CT spine; sagittal view; bone window
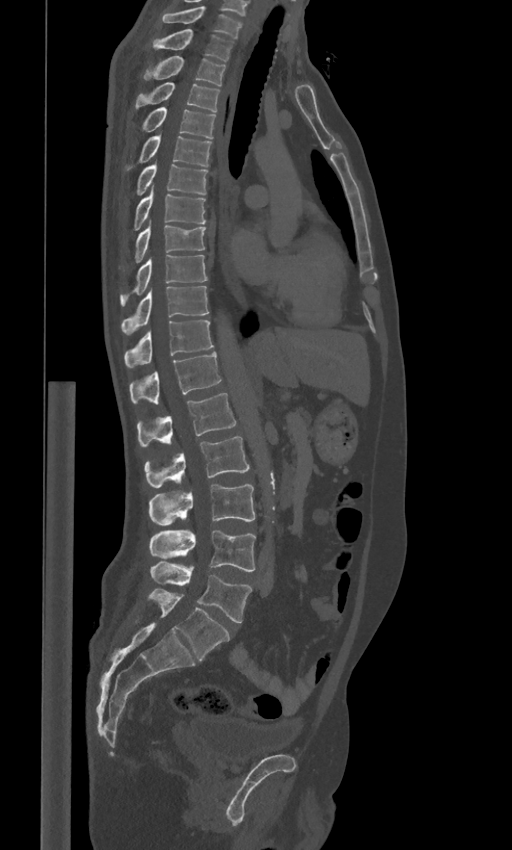

Each box is [x1, y1, x2, y2] in pixels: top-left corner, then bottom-right corner.
The labels name a sixth lumbar vertebra for this spine: L6, after L5.
{"vertebrae":{"C7":[159,6,242,39],"T1":[152,29,232,60],"T2":[143,56,225,86],"T3":[135,82,220,111],"T4":[142,107,215,138],"T5":[127,134,212,170],"T6":[136,163,207,195],"T7":[134,187,205,229],"T8":[135,219,206,262],"T9":[120,255,207,306],"T10":[121,286,208,335],"T11":[124,320,213,368],"T12":[129,352,221,404],"L1":[137,393,236,446],"L2":[144,436,249,487],"L3":[149,484,254,524],"L4":[149,529,255,571],"L5":[150,561,251,622],"L6":[148,589,229,660]}}